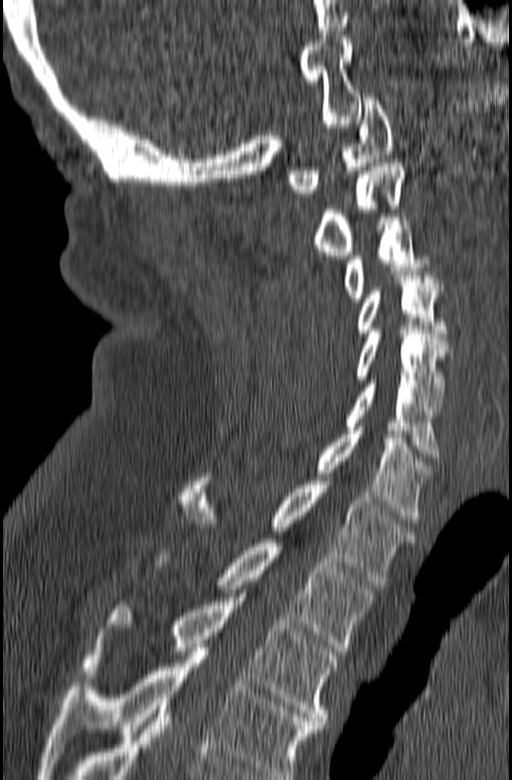 CT spine · sagittal view. Each box given as x1,y1,x2,y2. Labels in this scan begin with C1 at the top and end with T3 at the bottom. The labeled vertebrae in this slice are: T3 at x1=82, y1=597, x2=337, y2=728, T2 at x1=153, y1=539, x2=375, y2=651, T1 at x1=178, y1=477, x2=415, y2=585, C7 at x1=317, y1=427, x2=433, y2=523, C6 at x1=345, y1=380, x2=439, y2=461, C5 at x1=355, y1=330, x2=452, y2=406, C4 at x1=358, y1=275, x2=449, y2=336, C3 at x1=345, y1=217, x2=428, y2=302, C2 at x1=314, y1=163, x2=405, y2=259, C1 at x1=287, y1=97, x2=394, y2=197.